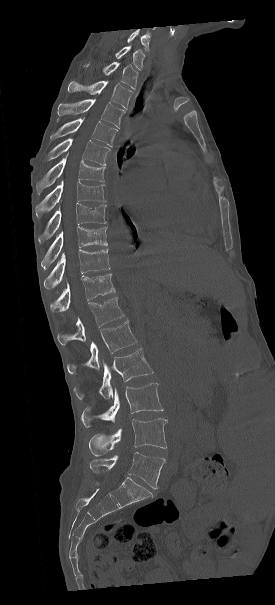 Computed tomography of the spine — sagittal view — W/L 1800/400 HU — 275x605 px
Labels in this scan begin with C7 at the top and end with L5 at the bottom.
<vertebrae><v name="C7" x1="115" y1="44" x2="144" y2="70"/><v name="T1" x1="84" y1="62" x2="137" y2="89"/><v name="T2" x1="68" y1="80" x2="133" y2="109"/><v name="T3" x1="57" y1="98" x2="125" y2="128"/><v name="T4" x1="49" y1="117" x2="117" y2="146"/><v name="T5" x1="42" y1="138" x2="110" y2="165"/><v name="T6" x1="34" y1="152" x2="105" y2="195"/><v name="T7" x1="35" y1="180" x2="105" y2="218"/><v name="T8" x1="37" y1="203" x2="106" y2="244"/><v name="T9" x1="40" y1="226" x2="107" y2="268"/><v name="T10" x1="43" y1="249" x2="110" y2="288"/><v name="T11" x1="50" y1="274" x2="115" y2="312"/><v name="T12" x1="57" y1="297" x2="124" y2="345"/><v name="L1" x1="67" y1="320" x2="137" y2="373"/><v name="L2" x1="74" y1="348" x2="153" y2="401"/><v name="L3" x1="81" y1="383" x2="163" y2="427"/><v name="L4" x1="89" y1="418" x2="166" y2="456"/><v name="L5" x1="90" y1="452" x2="165" y2="489"/></vertebrae>